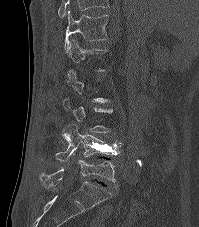
Spine computed tomography; sagittal reformat; Bone window (WL 400, WW 1800)
In the table, x1 and y1 are a box's top-left corner and x2 and y2 its bottom-right corner, in pixels.
Not every vertebra on this slice has a box: a vertebra is boxed only from the first to the last slice where its cross-section is at least a third of its largest, and this slice is outside that range for at least one of them.
The highest labeled vertebra in this scan is T12; the lowest is L5.
| vertebra | x1 | y1 | x2 | y2 |
|---|---|---|---|---|
| T12 | 63 | 11 | 108 | 52 |
| L4 | 40 | 124 | 121 | 162 |
| L5 | 40 | 160 | 116 | 188 |